Computed tomography of the spine · sagittal reformat · W/L 1800/400 HU
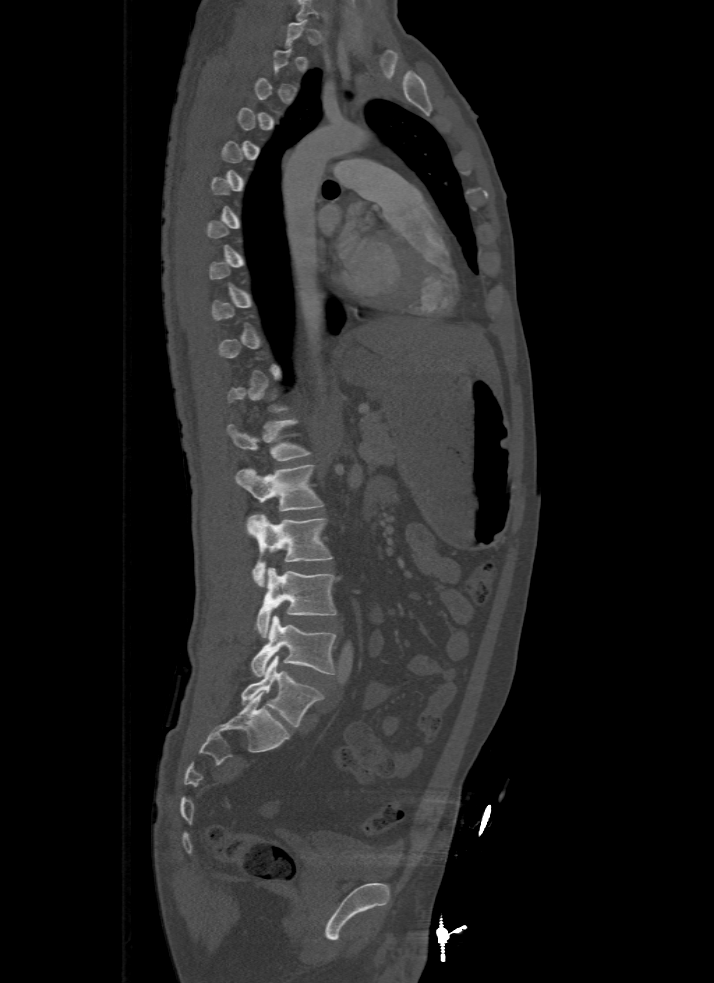 Not every vertebra on this slice has a box: a vertebra is boxed only from the first to the last slice where its cross-section is at least a third of its largest, and this slice is outside that range for at least one of them.
<vertebrae><v name="T12" x1="226" y1="419" x2="310" y2="461"/><v name="L1" x1="236" y1="465" x2="323" y2="511"/><v name="L2" x1="247" y1="515" x2="332" y2="587"/><v name="L3" x1="255" y1="568" x2="337" y2="637"/><v name="L4" x1="250" y1="616" x2="337" y2="677"/><v name="L5" x1="241" y1="655" x2="323" y2="727"/></vertebrae>